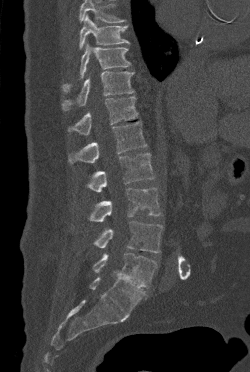 CT, spine — 250 mm across the image — sagittal reformat
Each box is [x1, y1, x2, y2] in pixels: top-left corner, then bottom-right corner.
A vertebra cut off by the top edge of the scan is not labeled and has no box.
{"vertebrae":{"L5":[93,253,157,287],"L4":[93,221,162,253],"L3":[88,188,160,221],"L2":[86,153,154,192],"L1":[68,121,146,163],"T12":[68,96,138,135],"T11":[62,71,134,110],"T10":[62,43,130,91],"T9":[79,14,129,49]}}